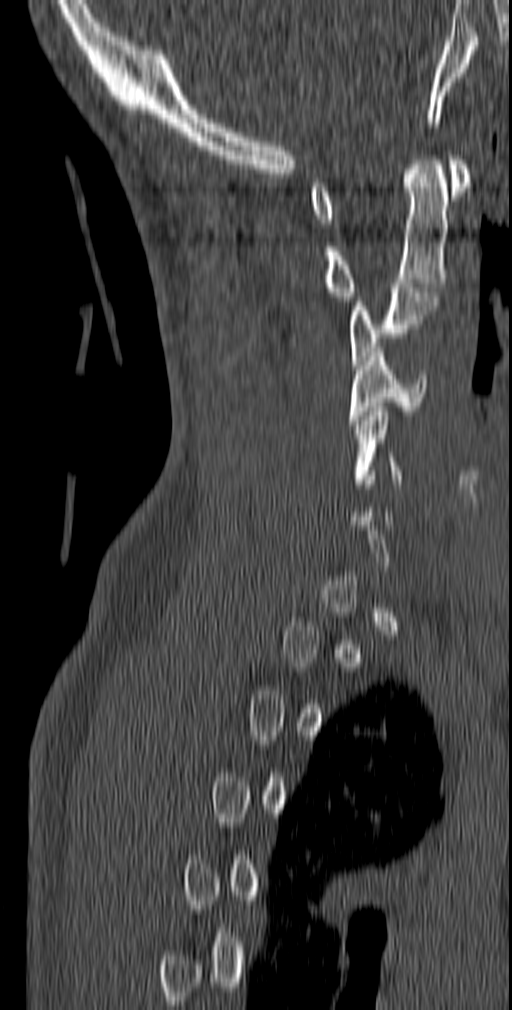
Spine CT; sagittal view; Bone window (WL 400, WW 1800); 512x1010 px
Coordinates as <box>x1,y1,x2,y2</box>.
Each vertebra is boxed only on the slices from the first to the last where its cross-section reaches a third of its largest, so a slice outside that range leaves it unboxed.
C5: <box>352,407,403,488</box>
C4: <box>348,347,427,424</box>
C3: <box>349,283,439,369</box>
C2: <box>323,151,448,301</box>
C1: <box>309,155,470,223</box>